CT, spine — the image spans 162 mm across — Sagittal slice 203/512 — W/L 1800/400 HU
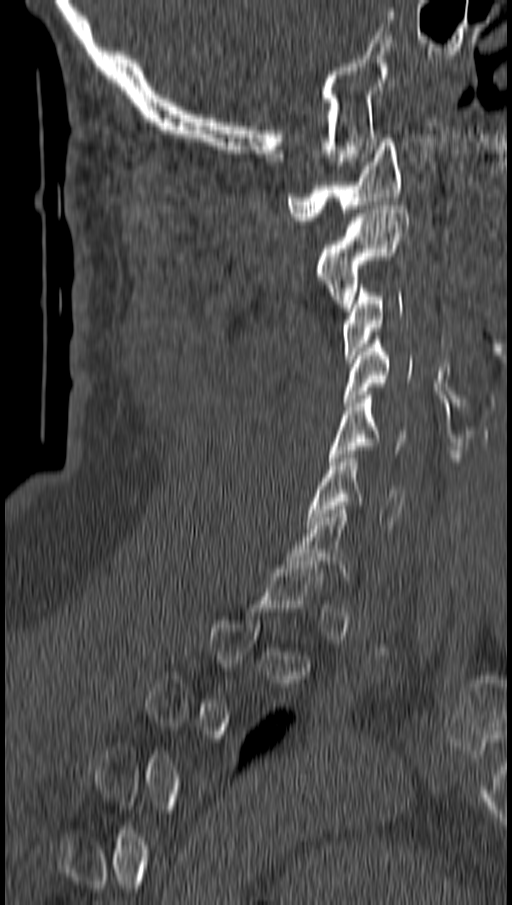
A vertebra gets a box only on the slices from the first to the last where its cross-section is at least a third of its largest; on a slice outside that range it gets none.
<vertebrae><v name="C1" x1="288" y1="138" x2="401" y2="220"/><v name="C2" x1="317" y1="205" x2="408" y2="311"/><v name="C3" x1="342" y1="284" x2="402" y2="362"/><v name="C4" x1="342" y1="336" x2="411" y2="406"/><v name="C5" x1="330" y1="391" x2="406" y2="461"/><v name="C6" x1="308" y1="450" x2="405" y2="528"/></vertebrae>